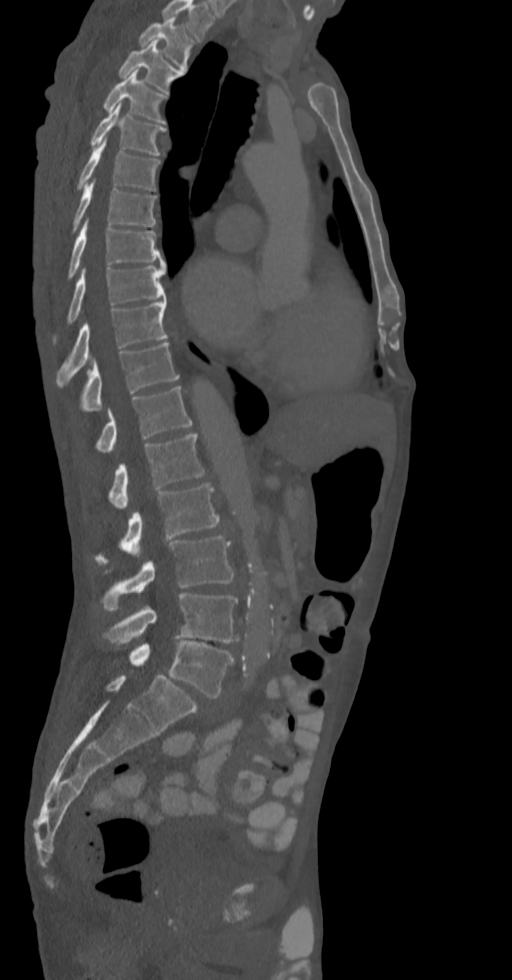 CT spine — sagittal view
Labels in this scan begin with T2 at the top and end with L5 at the bottom.
<vertebrae><v name="T2" x1="138" y1="17" x2="194" y2="69"/><v name="T3" x1="119" y1="40" x2="183" y2="93"/><v name="T4" x1="103" y1="70" x2="166" y2="124"/><v name="T5" x1="90" y1="102" x2="165" y2="154"/><v name="T6" x1="77" y1="139" x2="160" y2="191"/><v name="T7" x1="64" y1="181" x2="156" y2="238"/><v name="T8" x1="68" y1="219" x2="165" y2="278"/><v name="T9" x1="53" y1="267" x2="165" y2="342"/><v name="T10" x1="56" y1="299" x2="168" y2="383"/><v name="T11" x1="79" y1="341" x2="179" y2="410"/><v name="T12" x1="96" y1="386" x2="192" y2="452"/><v name="L1" x1="108" y1="433" x2="204" y2="509"/><v name="L2" x1="94" y1="483" x2="220" y2="564"/><v name="L3" x1="102" y1="536" x2="233" y2="610"/><v name="L4" x1="103" y1="593" x2="239" y2="642"/><v name="L5" x1="129" y1="640" x2="233" y2="697"/></vertebrae>